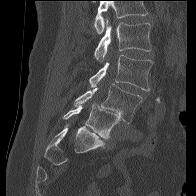

CT spine — sagittal view
Each row gives a vertebra's box as x1, y1, x2, y2 in pixels: top-left corner, then bottom-right corner.
A vertebra cut off by the top edge of the scan is not labeled and has no box.
| vertebra | x1 | y1 | x2 | y2 |
|---|---|---|---|---|
| L2 | 94 | 18 | 152 | 62 |
| L3 | 89 | 55 | 153 | 91 |
| L4 | 74 | 84 | 142 | 123 |
| L5 | 63 | 102 | 120 | 138 |